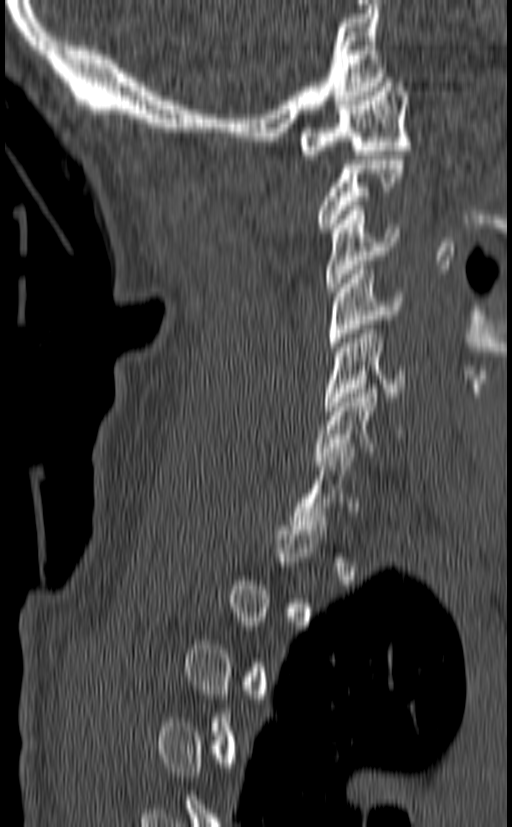 CT, spine · sagittal reformat · W/L 1800/400 HU · 512x827 px
Boxes are (x1, y1, x2, y2) in pixels. A vertebra is boxed only from the first to the last slice where its cross-section is at least a third of its largest; slices outside that range leave it without a box. Vertebrae labeled: C1 at (298, 78, 411, 159), C3 at (325, 206, 399, 292), C4 at (327, 265, 403, 351), C5 at (323, 325, 406, 410), C6 at (313, 384, 401, 465), C7 at (289, 448, 359, 534).